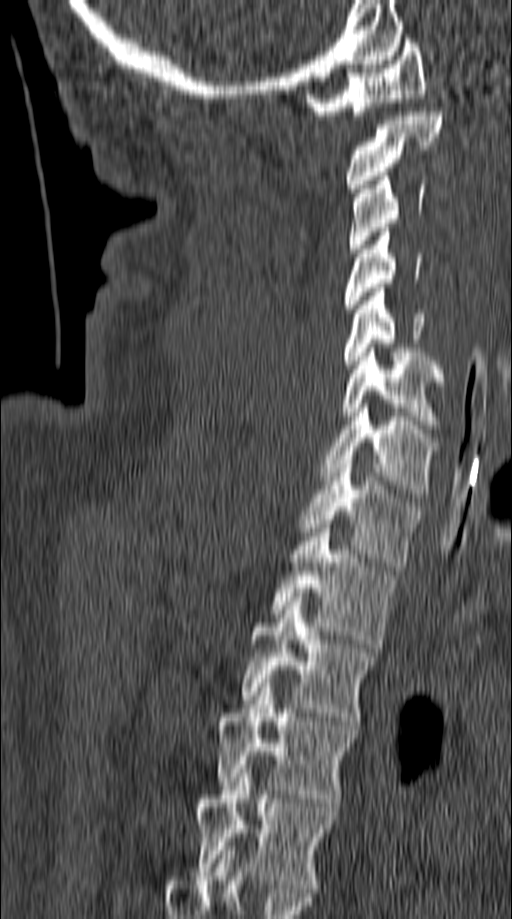 CT spine — sagittal view
Box edges are left/top/right/bottom in pixels.
C1: left=306, top=39, right=426, bottom=119
C2: left=345, top=107, right=443, bottom=192
C3: left=348, top=172, right=426, bottom=252
C4: left=345, top=228, right=423, bottom=313
C5: left=344, top=288, right=426, bottom=368
C6: left=341, top=348, right=447, bottom=433
C7: left=320, top=408, right=440, bottom=497
T1: left=298, top=460, right=419, bottom=566
T2: left=273, top=524, right=399, bottom=648
T3: left=241, top=597, right=378, bottom=725
T4: left=218, top=683, right=358, bottom=807
T5: left=193, top=769, right=337, bottom=892